Spine computed tomography — sagittal plane, index 258 — bone-window reconstruction — image 434 mm wide
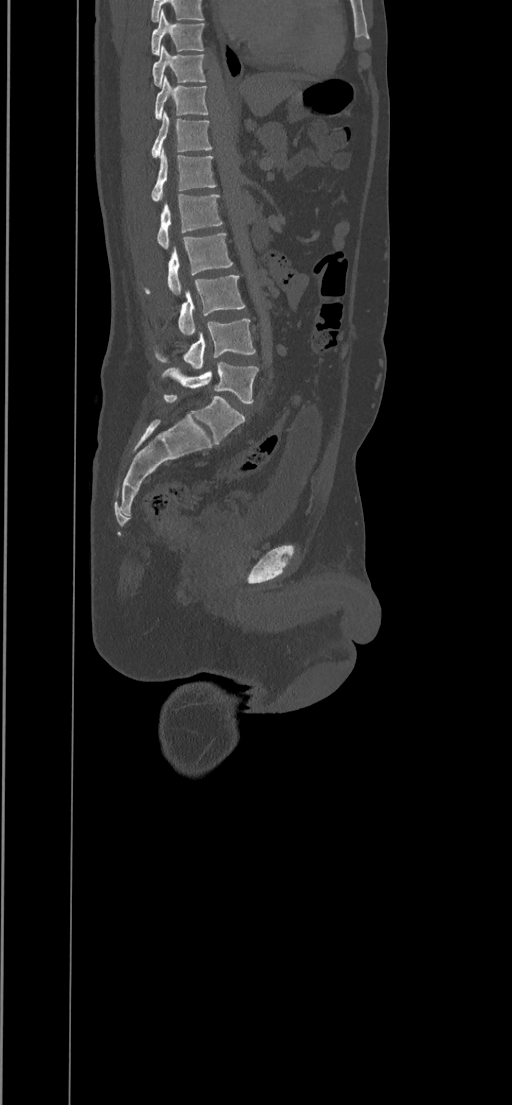

In the table, x1 and y1 are a box's top-left corner and x2 and y2 its bottom-right corner, in pixels.
| vertebra | x1 | y1 | x2 | y2 |
|---|---|---|---|---|
| T8 | 151 | 10 | 205 | 55 |
| T9 | 152 | 44 | 207 | 88 |
| T10 | 155 | 76 | 208 | 119 |
| T11 | 151 | 110 | 212 | 157 |
| T12 | 151 | 149 | 216 | 201 |
| L1 | 157 | 194 | 222 | 247 |
| L2 | 141 | 234 | 232 | 294 |
| L3 | 178 | 275 | 245 | 335 |
| L4 | 153 | 319 | 255 | 368 |
| L5 | 161 | 362 | 258 | 404 |